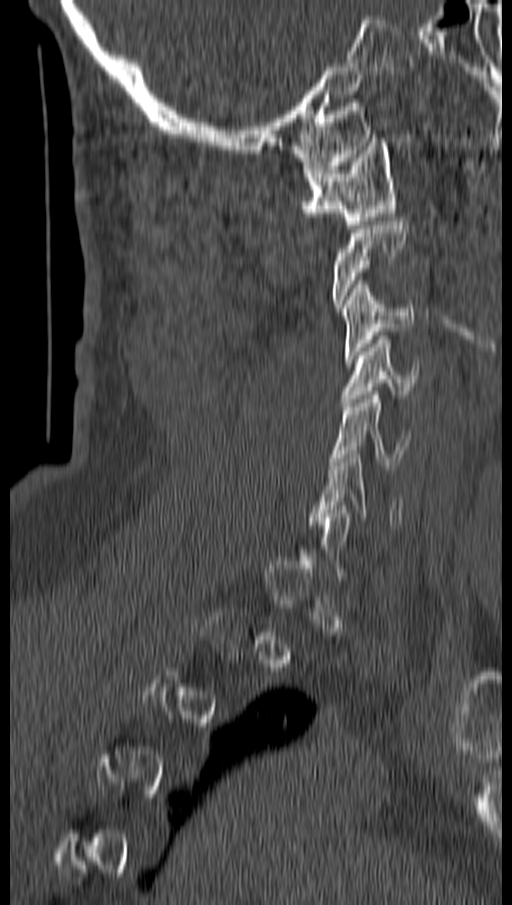 Spine CT — sagittal view — bone window. Boxes: x1:y1:x2:y2 in pixels.
A vertebra gets a box only on the slices from the first to the last where its cross-section is at least a third of its largest; on a slice outside that range it gets none.
Vertebra bounding boxes:
- C1: 301:138:395:228
- C3: 340:280:413:362
- C4: 342:336:418:406
- C5: 330:391:409:469
- C6: 314:454:404:528